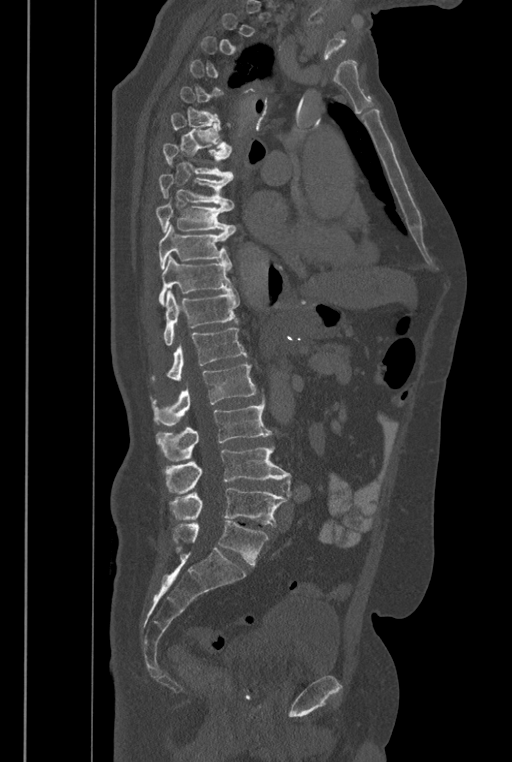 Spine computed tomography · sagittal view · Bone window (WL 400, WW 1800)

In the table, x1 and y1 are a box's top-left corner and x2 and y2 its bottom-right corner, in pixels.
A vertebra gets a box only on the slices from the first to the last where its cross-section is at least a third of its largest; on a slice outside that range it gets none.
The labels name a sixth lumbar vertebra for this spine: L6, after L5.
| vertebra | x1 | y1 | x2 | y2 |
|---|---|---|---|---|
| T7 | 162 | 143 | 233 | 180 |
| T8 | 158 | 174 | 233 | 210 |
| T9 | 155 | 199 | 235 | 234 |
| T10 | 158 | 225 | 232 | 269 |
| T11 | 158 | 255 | 234 | 306 |
| T12 | 163 | 289 | 239 | 345 |
| L1 | 168 | 328 | 247 | 380 |
| L2 | 154 | 363 | 256 | 427 |
| L3 | 156 | 392 | 271 | 460 |
| L4 | 164 | 444 | 291 | 497 |
| L5 | 171 | 488 | 287 | 526 |
| L6 | 173 | 521 | 268 | 565 |